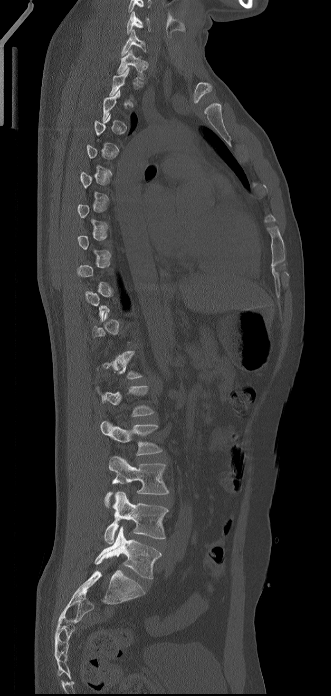 CT spine · sagittal view

Box edges are left/top/right/bottom in pixels. A vertebra is boxed only from the first to the last slice where its cross-section is at least a third of its largest; slices outside that range leave it without a box. In this scan, the topmost labeled vertebra is C6 and the lowest is L5. 8 vertebrae labeled — L5 at left=95, top=526, right=161, bottom=579; L4 at left=104, top=491, right=168, bottom=543; L3 at left=104, top=456, right=168, bottom=507; L2 at left=101, top=421, right=162, bottom=455; L1 at left=96, top=386, right=154, bottom=416; T1 at left=117, top=49, right=146, bottom=79; C7 at left=121, top=29, right=145, bottom=55; C6 at left=126, top=11, right=151, bottom=34.